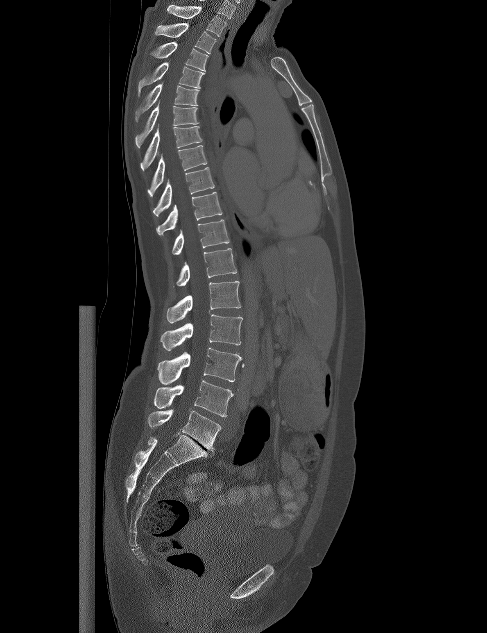

Spine CT · sagittal reformat · the image spans 487 mm across · bone window
Columns x1, y1, x2, y2 give each box's top-left and bottom-right pixels.
| vertebra | x1 | y1 | x2 | y2 |
|---|---|---|---|---|
| L5 | 148 | 409 | 221 | 451 |
| L4 | 154 | 380 | 233 | 416 |
| L3 | 157 | 348 | 241 | 384 |
| L2 | 160 | 314 | 242 | 350 |
| L1 | 166 | 281 | 241 | 323 |
| T12 | 176 | 248 | 237 | 286 |
| T11 | 172 | 219 | 229 | 254 |
| T10 | 156 | 192 | 222 | 235 |
| T9 | 153 | 167 | 214 | 216 |
| T8 | 147 | 145 | 207 | 196 |
| T7 | 140 | 123 | 202 | 170 |
| T6 | 135 | 102 | 198 | 148 |
| T5 | 135 | 83 | 199 | 122 |
| T4 | 138 | 62 | 204 | 96 |
| T3 | 150 | 42 | 208 | 70 |
| T2 | 155 | 23 | 216 | 53 |
| T1 | 167 | 5 | 226 | 36 |